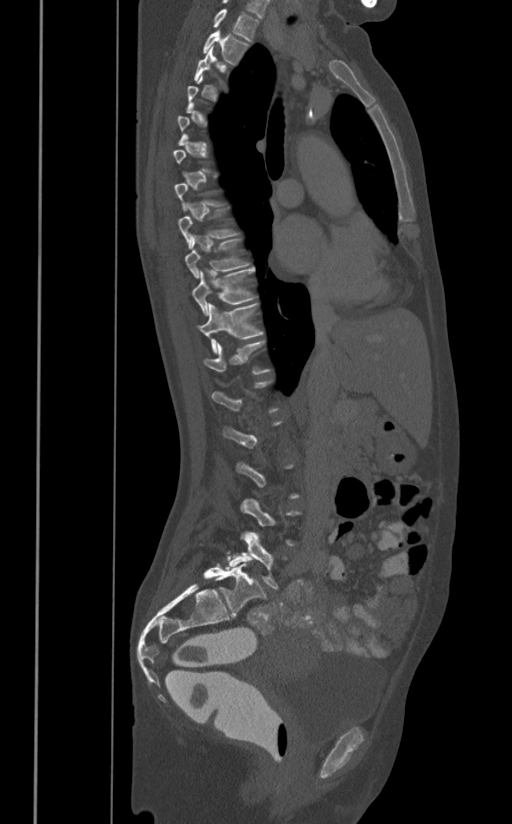 Spine computed tomography · sagittal reformat · image width 391 mm · 512x824 px
Not every vertebra on this slice has a box: a vertebra is boxed only from the first to the last slice where its cross-section is at least a third of its largest, and this slice is outside that range for at least one of them.
<vertebrae><v name="T1" x1="213" y1="8" x2="259" y2="41"/><v name="T2" x1="203" y1="31" x2="249" y2="64"/><v name="T8" x1="178" y1="205" x2="237" y2="248"/><v name="T9" x1="184" y1="237" x2="249" y2="277"/><v name="T10" x1="191" y1="268" x2="255" y2="315"/><v name="T11" x1="197" y1="303" x2="263" y2="354"/><v name="T12" x1="203" y1="341" x2="270" y2="374"/><v name="L5" x1="225" y1="532" x2="278" y2="588"/></vertebrae>